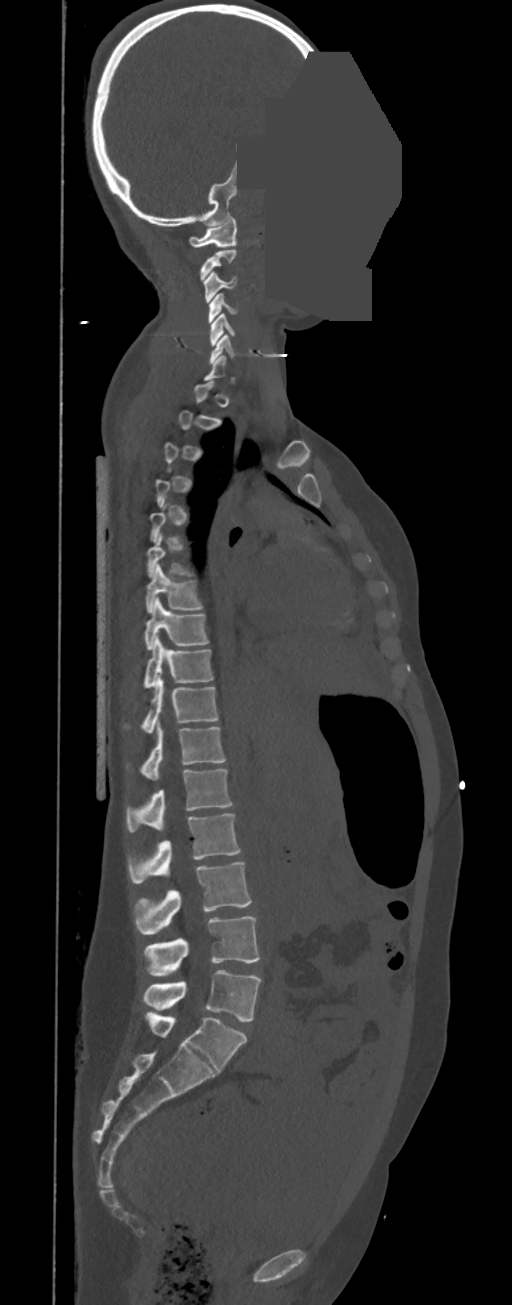
CT, spine — sagittal reformat — the image spans 350 mm across — Bone window (WL 400, WW 1800) — a uniform gray block covers part of the image
In the table, x1 and y1 are a box's top-left corner and x2 and y2 its bottom-right corner, in pixels.
Each vertebra is boxed only on the slices from the first to the last where its cross-section reaches a third of its largest, so a slice outside that range leaves it unboxed.
In these labels the thoracic vertebrae end at T11, so L1 follows T11.
| vertebra | x1 | y1 | x2 | y2 |
|---|---|---|---|---|
| C1 | 188 | 217 | 237 | 247 |
| C3 | 203 | 270 | 237 | 302 |
| C4 | 207 | 294 | 238 | 323 |
| C5 | 210 | 313 | 234 | 345 |
| C6 | 209 | 334 | 234 | 365 |
| T6 | 146 | 535 | 193 | 577 |
| T7 | 145 | 565 | 203 | 613 |
| T8 | 145 | 598 | 208 | 649 |
| T9 | 143 | 636 | 214 | 688 |
| T10 | 142 | 673 | 218 | 734 |
| T11 | 140 | 723 | 226 | 780 |
| L1 | 126 | 769 | 233 | 832 |
| L2 | 128 | 814 | 240 | 882 |
| L3 | 134 | 862 | 252 | 934 |
| L4 | 143 | 916 | 259 | 976 |
| L5 | 143 | 970 | 261 | 1022 |